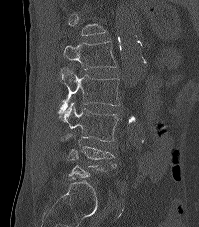 CT, spine · sagittal view · bone window
Each vertebra is boxed only on the slices from the first to the last where its cross-section reaches a third of its largest, so a slice outside that range leaves it unboxed.
<vertebrae><v name="L4" x1="62" y1="134" x2="117" y2="167"/><v name="L3" x1="64" y1="102" x2="119" y2="141"/><v name="L2" x1="58" y1="67" x2="120" y2="118"/><v name="L1" x1="64" y1="41" x2="116" y2="70"/></vertebrae>